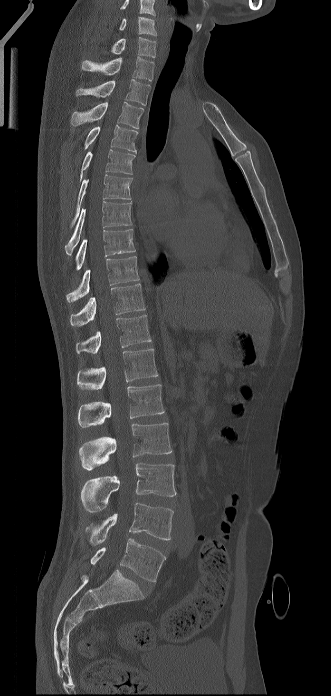

Computed tomography of the spine; sagittal view; image 331 mm wide

Coordinates as <box>x1,y1,x2,y2</box>. This scan's labels start at C6 at the top and end at L5 at the bottom. The labeled vertebrae in this slice are: L5 at <box>91,538,165,582</box>, L4 at <box>85,503,173,545</box>, L3 at <box>81,463,176,512</box>, L2 at <box>79,423,172,470</box>, L1 at <box>78,384,164,427</box>, T12 at <box>77,348,158,390</box>, T11 at <box>76,315,151,353</box>, T10 at <box>70,283,145,326</box>, T9 at <box>66,256,139,302</box>, T8 at <box>76,229,135,269</box>, T7 at <box>65,201,131,255</box>, T6 at <box>70,174,132,228</box>, T5 at <box>80,149,134,182</box>, T4 at <box>84,124,137,153</box>, T3 at <box>70,101,143,128</box>, T2 at <box>76,79,150,105</box>, T1 at <box>82,56,154,81</box>, C7 at <box>111,36,156,57</box>, C6 at <box>119,16,156,35</box>.